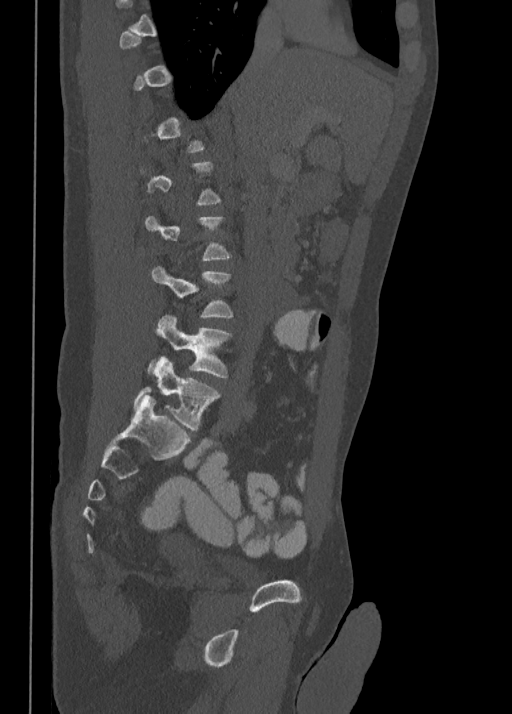

Computed tomography of the spine — sagittal view
Boxes: x1:y1:x2:y2 in pixels.
Each vertebra is boxed only on the slices from the first to the last where its cross-section reaches a third of its largest, so a slice outside that range leaves it unboxed.
Vertebra bounding boxes:
- L3: 152:266:233:318
- L4: 148:315:231:378
- L5: 134:357:220:431